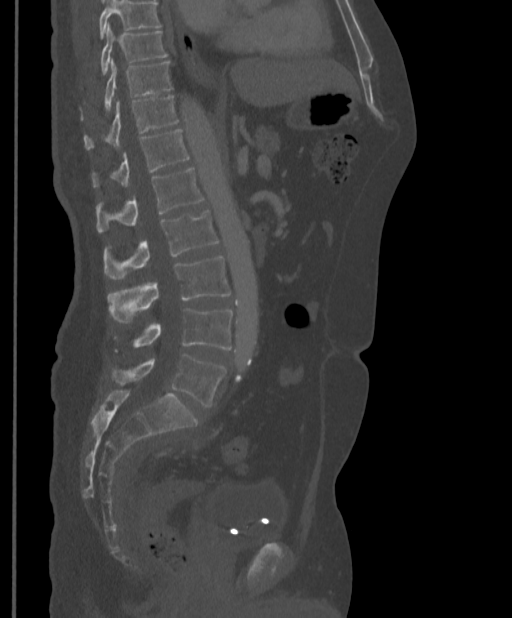
Spine computed tomography; image width 397 mm; sagittal view; W/L 1800/400 HU; 512x618 px

Boxes: x1 y1 x2 y2 (pixel coords, space-separated).
No box is given to a vertebra that the top edge of the scan cuts off.
T9: 100 25 168 75
T10: 81 61 173 119
T11: 84 95 178 150
T12: 91 129 190 187
L1: 95 168 204 232
L2: 103 210 219 279
L3: 107 257 231 323
L4: 116 308 232 351
L5: 112 355 226 407